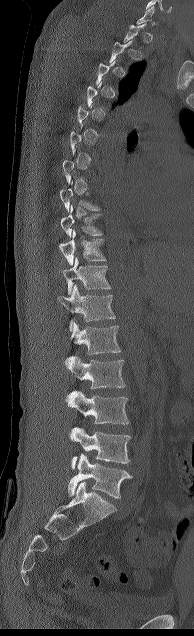

Computed tomography of the spine; sagittal view; 194 mm wide
Bounding boxes as [x1, y1, x2, y2] in pixel coordinates. Each vertebra is boxed only on the slices from the first to the last where its cross-section reaches a third of its largest, so a slice outside that range leaves it unboxed. 9 vertebrae labeled — L5 at [68, 453, 132, 498]; L4 at [69, 427, 130, 469]; L3 at [66, 390, 129, 424]; L2 at [68, 356, 125, 389]; L1 at [65, 321, 120, 366]; T12 at [57, 284, 115, 331]; T11 at [63, 257, 110, 294]; T10 at [59, 229, 106, 265]; T9 at [61, 205, 102, 236].